CT · image 140 mm wide · sagittal view
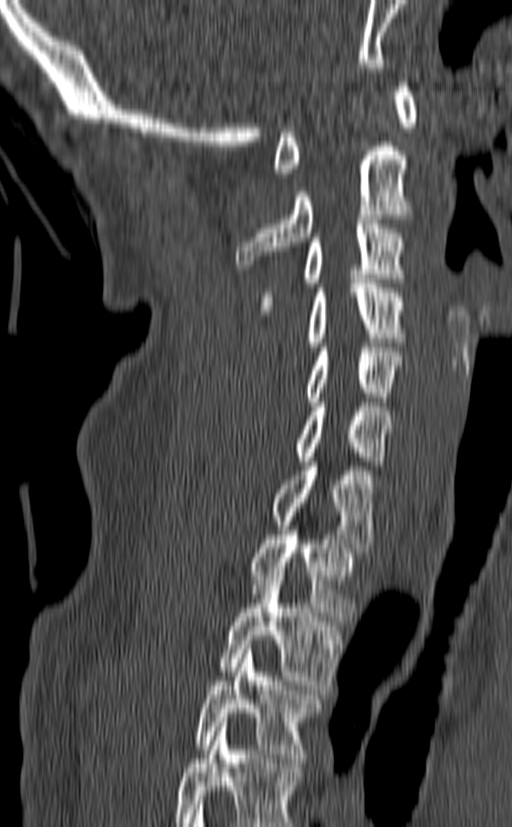
Boxes are (x1, y1, x2, y2) in pixels. In this scan, the topmost labeled vertebra is C1 and the lowest is T3. 10 vertebrae labeled — C1 at (272, 82, 417, 177); C2 at (235, 142, 412, 269); C3 at (260, 219, 406, 314); C4 at (305, 279, 406, 346); C5 at (301, 347, 403, 406); C6 at (294, 398, 392, 465); C7 at (268, 457, 377, 552); T1 at (246, 526, 360, 621); T2 at (217, 571, 344, 689); T3 at (195, 645, 326, 762).